CT spine — Sagittal slice 266/512 — W/L 1800/400 HU — 527x755 px
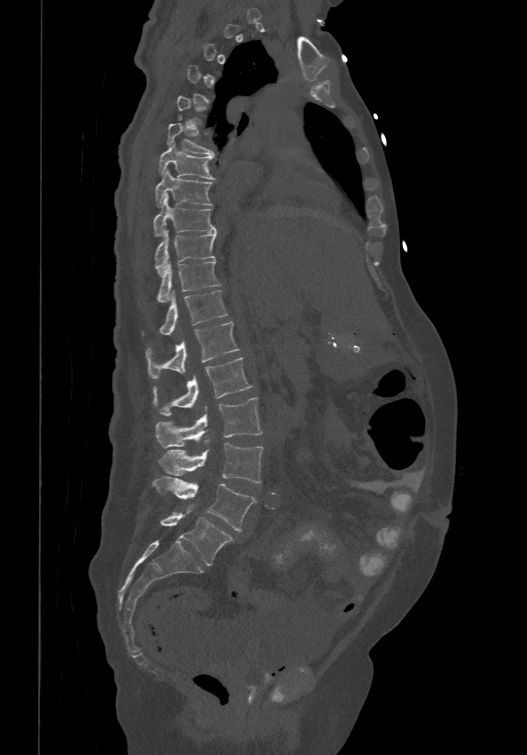

Coordinates as <box>x1,y1,x2,y2</box>.
Not every vertebra on this slice has a box: a vertebra is boxed only from the first to the last slice where its cross-section is at least a third of its largest, and this slice is outside that range for at least one of them.
The labels name a sixth lumbar vertebra for this spine: L6, after L5.
T6: <box>167,123,215,155</box>
T7: <box>158,142,215,179</box>
T8: <box>155,168,213,205</box>
T9: <box>153,194,216,235</box>
T10: <box>154,228,217,272</box>
T11: <box>156,260,221,301</box>
T12: <box>142,288,227,333</box>
L1: <box>145,321,239,378</box>
L2: <box>152,356,252,415</box>
L3: <box>155,397,262,447</box>
L4: <box>158,443,263,483</box>
L5: <box>152,477,255,531</box>
L6: <box>160,508,234,565</box>